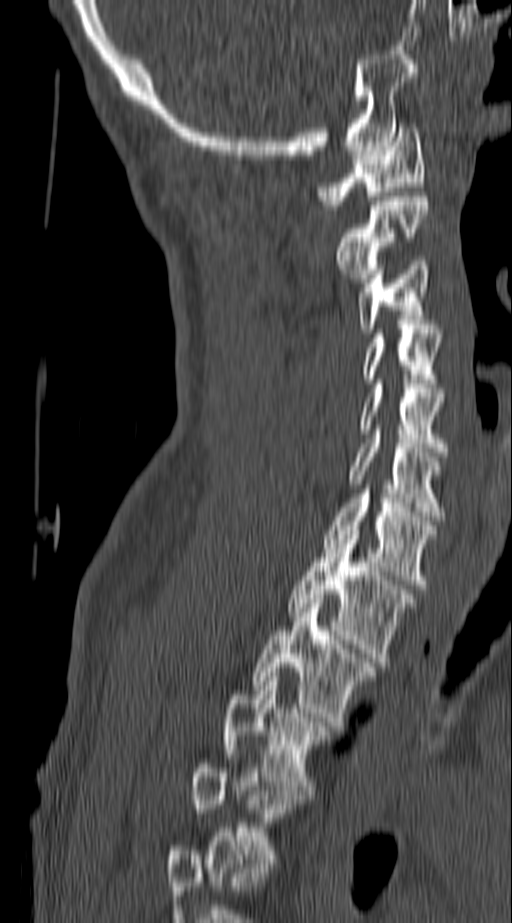
Computed tomography of the spine · the image spans 140 mm across · sagittal view · bone-window reconstruction · 512x923 px
Labels in this scan begin with C1 at the top and end with T4 at the bottom.
<vertebrae><v name="C1" x1="316" y1="123" x2="425" y2="209"/><v name="C2" x1="334" y1="197" x2="428" y2="282"/><v name="C3" x1="357" y1="261" x2="428" y2="333"/><v name="C4" x1="363" y1="329" x2="443" y2="383"/><v name="C5" x1="360" y1="384" x2="447" y2="456"/><v name="C6" x1="349" y1="434" x2="447" y2="520"/><v name="C7" x1="323" y1="489" x2="436" y2="584"/><v name="T1" x1="287" y1="530" x2="417" y2="662"/><v name="T2" x1="250" y1="599" x2="377" y2="726"/><v name="T3" x1="221" y1="672" x2="337" y2="794"/><v name="T4" x1="192" y1="754" x2="308" y2="868"/></vertebrae>